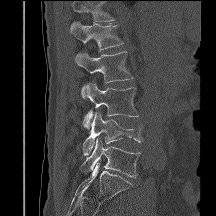

CT, spine · sagittal reformat
Where the top of the scan cuts through a vertebra, that vertebra gets no label or box.
<vertebrae><v name="L1" x1="69" y1="22" x2="123" y2="61"/><v name="L2" x1="76" y1="51" x2="133" y2="98"/><v name="L3" x1="82" y1="82" x2="138" y2="130"/><v name="L4" x1="83" y1="111" x2="142" y2="155"/><v name="L5" x1="80" y1="139" x2="140" y2="177"/></vertebrae>